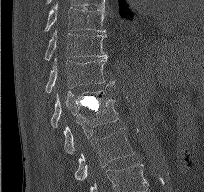

CT spine; sagittal view; 204x192 px
Each box given as x1,y1,x2,y2.
This scan's labels start at T9 at the top and end at L2 at the bottom.
Vertebra bounding boxes:
- T9: x1=44, y1=6, x2=105, y2=32
- T10: x1=44, y1=30, x2=107, y2=60
- T11: x1=45, y1=57, x2=115, y2=93
- T12: x1=50, y1=85, x2=115, y2=127
- L1: x1=64, y1=99, x2=118, y2=154
- L2: x1=74, y1=128, x2=134, y2=180